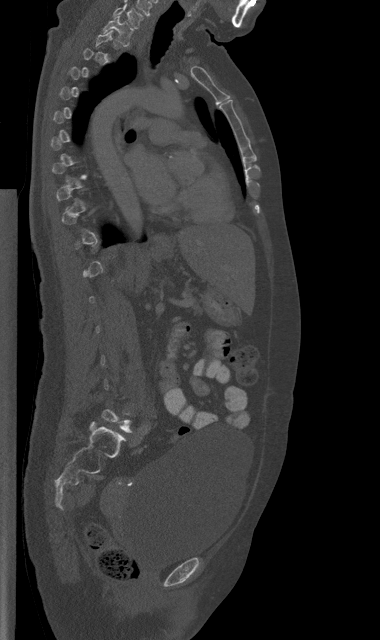

Computed tomography of the spine — sagittal view — the image spans 380 mm across — bone-window reconstruction — 380x640 px
A vertebra is boxed only from the first to the last slice where its cross-section is at least a third of its largest; slices outside that range leave it without a box.
<vertebrae><v name="C7" x1="113" y1="4" x2="143" y2="28"/><v name="T1" x1="103" y1="16" x2="132" y2="44"/></vertebrae>